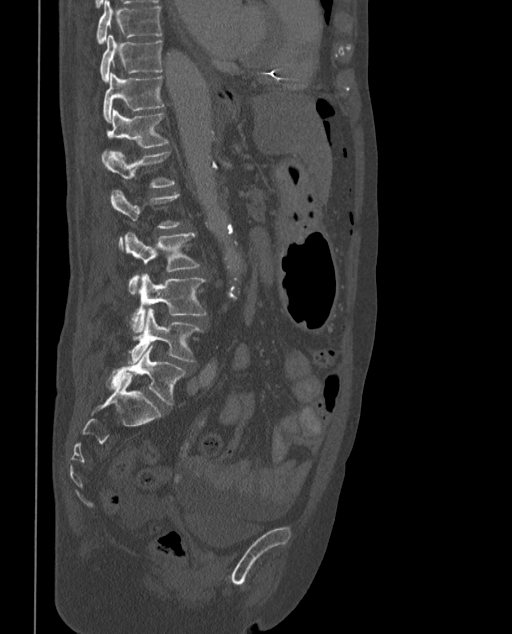

CT; the image spans 373 mm across; sagittal reformat; bone-window reconstruction
A vertebra is boxed only from the first to the last slice where its cross-section is at least a third of its largest; slices outside that range leave it without a box.
The labels name a sixth lumbar vertebra for this spine: L6, after L5.
<vertebrae><v name="T9" x1="96" y1="0" x2="161" y2="43"/><v name="T10" x1="100" y1="35" x2="162" y2="82"/><v name="T11" x1="103" y1="73" x2="164" y2="123"/><v name="T12" x1="102" y1="110" x2="168" y2="160"/><v name="L1" x1="103" y1="151" x2="175" y2="188"/><v name="L3" x1="125" y1="232" x2="199" y2="294"/><v name="L4" x1="132" y1="273" x2="206" y2="333"/><v name="L5" x1="128" y1="309" x2="202" y2="362"/><v name="L6" x1="110" y1="346" x2="185" y2="405"/></vertebrae>